Spine CT. image width 140 mm. sagittal view. part of the image is a flat gray fill, not anatomy
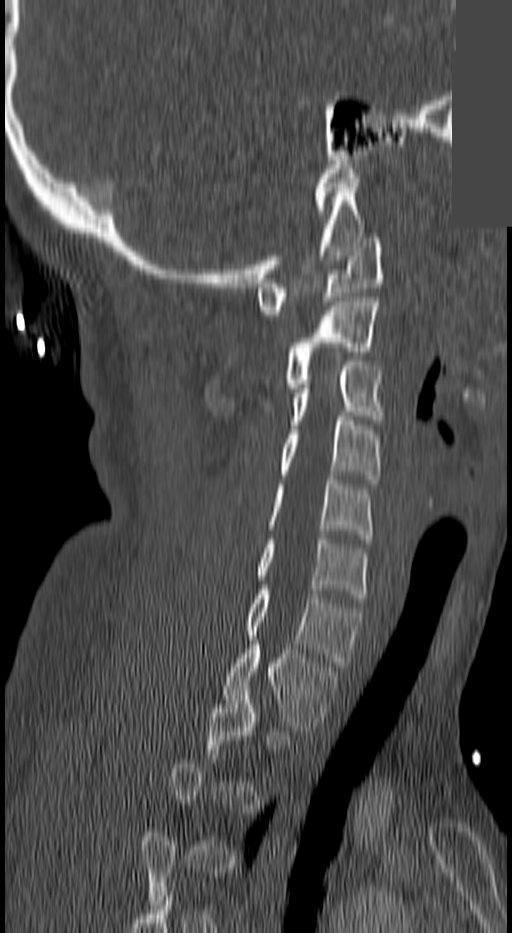 Coordinates as <box>x1,y1,x2,y2</box>. A vertebra gets a box only on the slices from the first to the last where its cross-section is at least a third of its largest; on a slice outside that range it gets none. Vertebrae labeled: C1 at <box>257,238,384,314</box>, C2 at <box>283,302,377,392</box>, C3 at <box>289,361,381,429</box>, C4 at <box>279,416,381,484</box>, C5 at <box>268,475,373,538</box>, C6 at <box>257,539,366,602</box>, C7 at <box>246,590,362,666</box>, T1 at <box>224,640,337,735</box>.